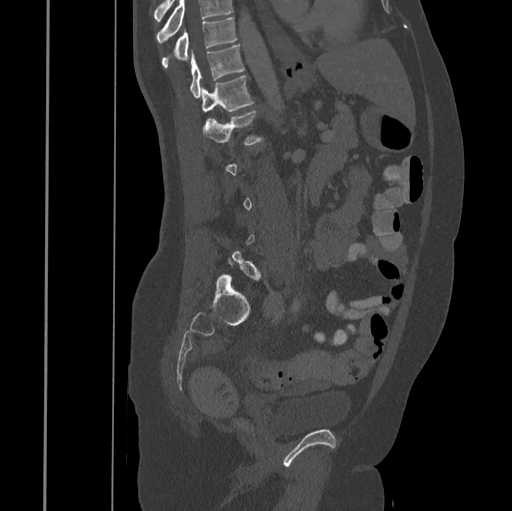

Spine computed tomography; sagittal view; W/L 1800/400 HU
Each box given as x1,y1,x2,y2.
A vertebra is boxed only from the first to the last slice where its cross-section is at least a third of its largest; slices outside that range leave it without a box.
Where the top of the scan cuts through a vertebra, that vertebra gets no label or box.
| vertebra | x1 | y1 | x2 | y2 |
|---|---|---|---|---|
| T10 | 161 | 17 | 236 | 67 |
| T11 | 190 | 45 | 244 | 97 |
| T12 | 200 | 76 | 253 | 112 |
| L1 | 202 | 110 | 262 | 145 |